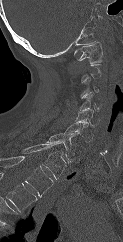

CT; sagittal view; Bone window (WL 400, WW 1800); 123x242 px
Columns x1, y1, x2, y2 give each box's top-left and bottom-right pixels.
Not every vertebra on this slice has a box: a vertebra is boxed only from the first to the last slice where its cross-section is at least a third of its largest, and this slice is outside that range for at least one of them.
This scan's labels start at C1 at the top and end at T1 at the bottom.
| vertebra | x1 | y1 | x2 | y2 |
|---|---|---|---|---|
| C1 | 74 | 42 | 102 | 63 |
| C3 | 80 | 76 | 98 | 98 |
| C4 | 80 | 92 | 99 | 111 |
| C5 | 75 | 109 | 94 | 127 |
| C6 | 61 | 122 | 93 | 142 |
| C7 | 45 | 133 | 75 | 162 |
| T1 | 21 | 144 | 65 | 179 |